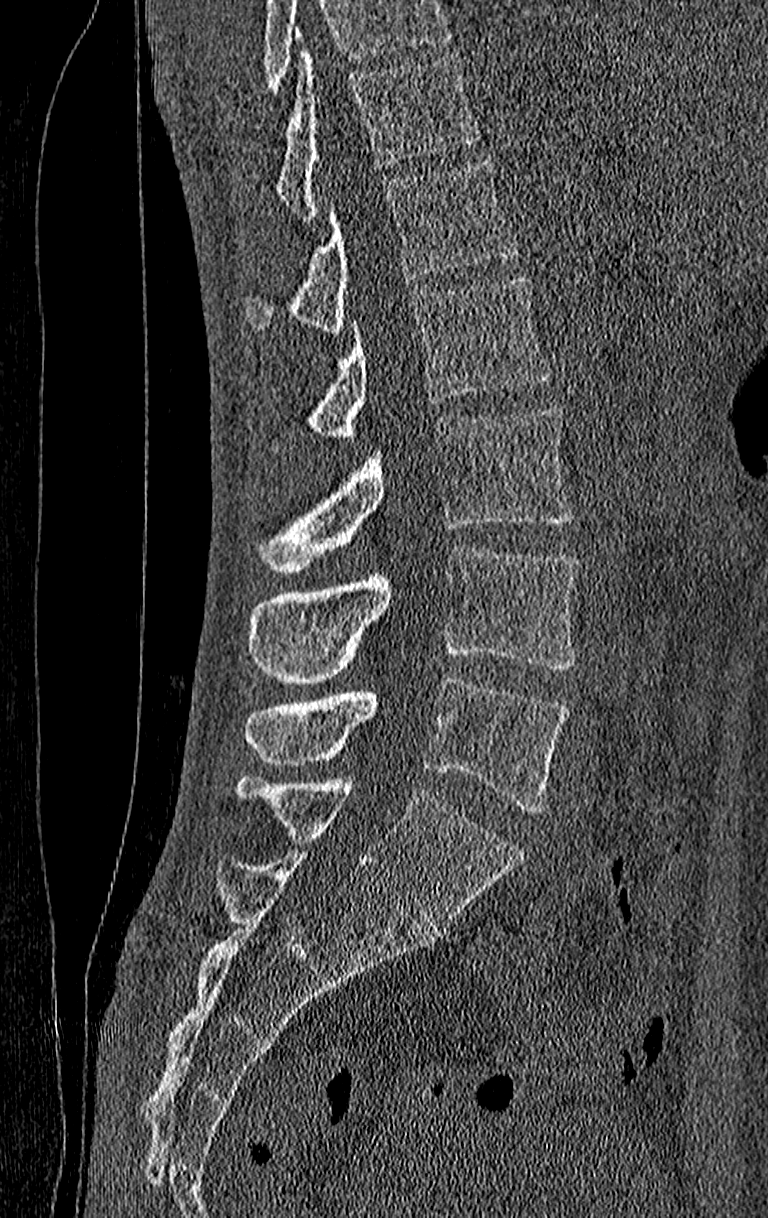

CT, spine; sagittal reformat; W/L 1800/400 HU. Boxes: x1:y1:x2:y2 in pixels.
No box is given to a vertebra that the top edge of the scan cuts off.
In this scan, the topmost labeled vertebra is T11 and the lowest is L4.
Vertebra bounding boxes:
- L4: 244:678:568:812
- L3: 247:546:579:684
- L2: 251:406:572:573
- L1: 269:278:550:453
- T12: 244:158:521:333
- T11: 273:48:480:220